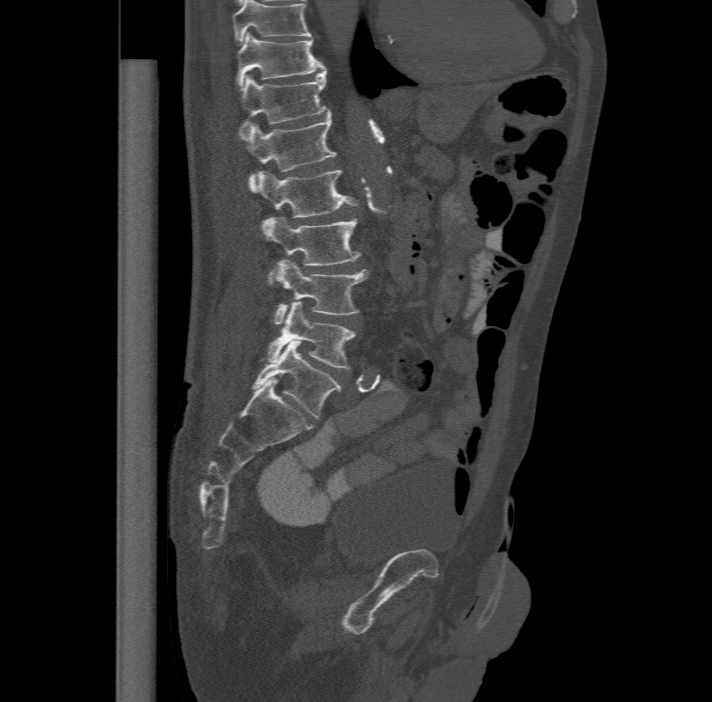 Computed tomography of the spine; sagittal view; Bone window (WL 400, WW 1800); 477 mm image width; 712x702 px

Boxes: x1 y1 x2 y2 (pixel coords, space-separated). In this scan, the topmost labeled vertebra is T11 and the lowest is L6. The labels name a sixth lumbar vertebra for this spine: L6, after L5. The labeled vertebrae in this slice are: T11 at 236 32 324 88, T12 at 239 67 329 136, L1 at 246 112 337 188, L2 at 253 168 359 221, L3 at 261 216 361 282, L4 at 273 258 367 323, L5 at 267 301 355 368, L6 at 252 340 341 418.